Spine CT; 455 mm across the image; Sagittal slice 290/512; bone window
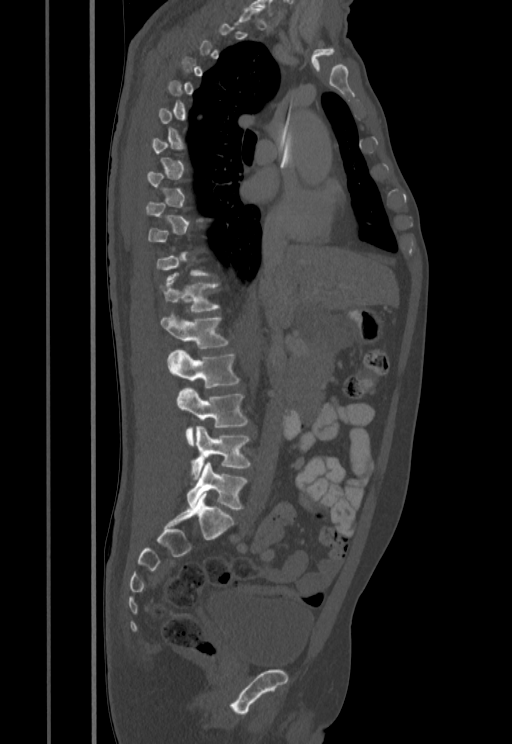
Boxes: x1:y1:x2:y2 in pixels. A vertebra is boxed only from the first to the last slice where its cross-section is at least a third of its largest; slices outside that range leave it without a box. Vertebrae labeled: L5 at 187:461:246:510, L4 at 191:426:250:480, L3 at 177:388:248:445, L2 at 166:349:239:387, L1 at 161:315:228:348, T12 at 164:280:218:313.